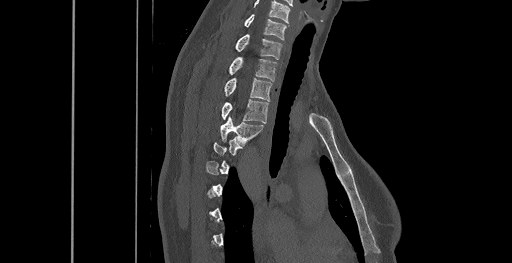

Spine CT; the image spans 461 mm across; sagittal reformat
Coordinates as <box>x1,y1,x2,y2</box>.
Not every vertebra on this slice has a box: a vertebra is boxed only from the first to the last slice where its cross-section is at least a third of its largest, and this slice is outside that range for at least one of them.
The highest labeled vertebra in this scan is C6; the lowest is T8.
C6: <box>244,14,286,40</box>
C7: <box>236,34,281,59</box>
T1: <box>229,57,276,80</box>
T2: <box>225,77,272,101</box>
T3: <box>222,100,268,123</box>
T4: <box>220,116,262,144</box>